Spine computed tomography. 473 mm image width. sagittal view. a region of this slice is masked with a uniform fill
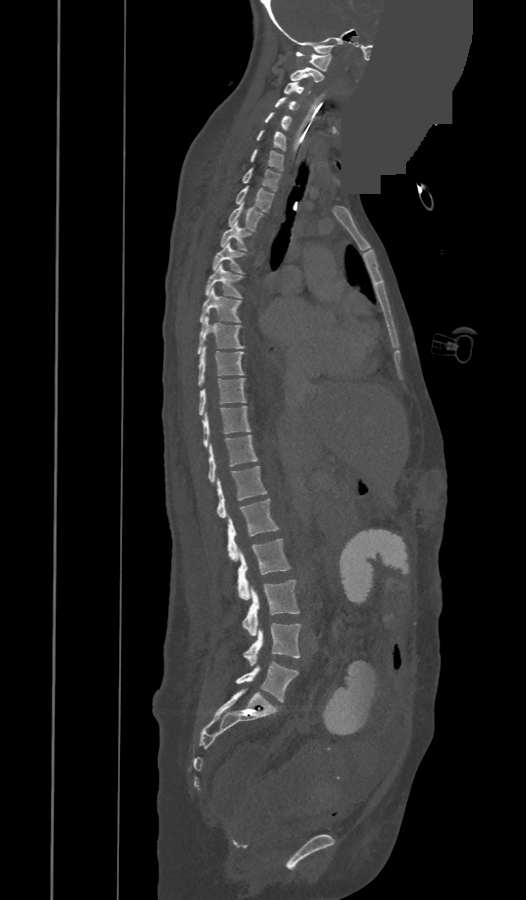
Boxes: x1:y1:x2:y2 in pixels. The labels name an extra thoracic vertebra here, T13, which comes after T12 and before L1. 25 vertebrae labeled — C1 at 296:52:332:71; C2 at 289:68:323:82; C3 at 283:81:310:94; C4 at 274:97:296:109; C5 at 265:112:292:129; C6 at 257:130:285:150; C7 at 250:149:283:170; T1 at 242:168:280:190; T2 at 235:186:273:211; T3 at 229:202:262:230; T4 at 221:221:250:250; T5 at 212:242:243:272; T6 at 205:265:241:298; T7 at 199:288:240:322; T8 at 197:316:243:354; T9 at 197:346:243:386; T10 at 199:378:245:415; T11 at 202:406:250:446; T12 at 207:435:257:482; T13 at 217:466:267:517; L1 at 228:499:278:561; L2 at 238:539:291:599; L3 at 242:580:299:635; L4 at 243:623:300:666; L5 at 235:662:298:701.